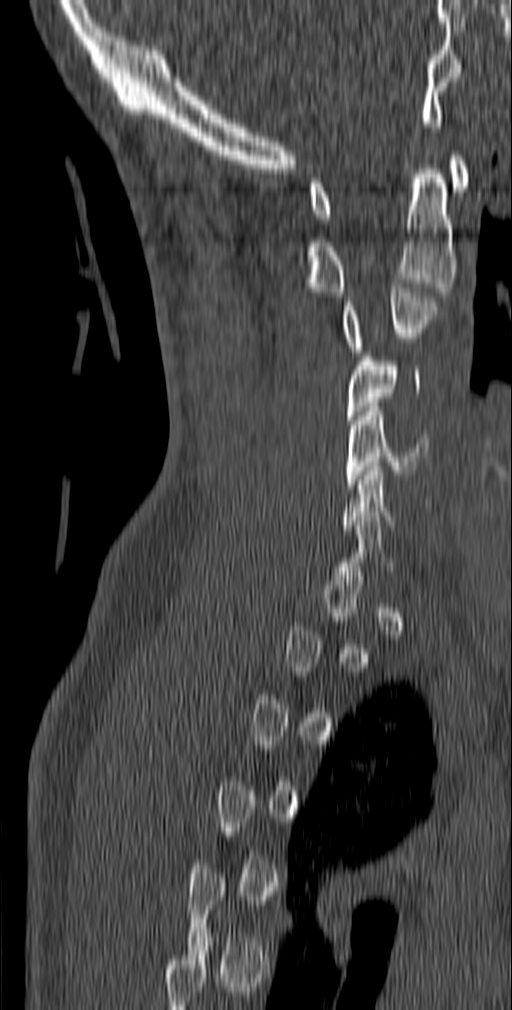
CT · sagittal reformat · the image spans 140 mm across · bone window · 512x1010 px

Box edges are left/top/right/bottom in pixels.
A vertebra gets a box only on the slices from the first to the last where its cross-section is at least a third of its largest; on a slice outside that range it gets none.
| vertebra | x1 | y1 | x2 | y2 |
|---|---|---|---|---|
| C1 | 309 | 151 | 469 | 218 |
| C2 | 301 | 165 | 455 | 296 |
| C3 | 341 | 283 | 439 | 351 |
| C4 | 346 | 357 | 420 | 424 |
| C5 | 345 | 407 | 430 | 488 |